CT spine — sagittal reformat — W/L 1800/400 HU
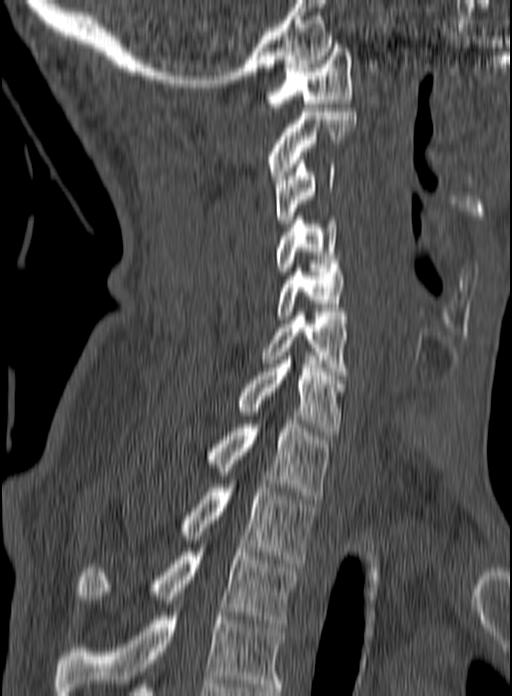

Box edges are left/top/right/bottom in pixels. In this scan, the topmost labeled vertebra is C1 and the lowest is T3. The labeled vertebrae in this slice are: C1 at left=266, top=48, right=352, bottom=111, C2 at left=267, top=108, right=356, bottom=179, C3 at left=275, top=160, right=335, bottom=223, C4 at left=276, top=212, right=339, bottom=275, C5 at left=277, top=264, right=344, bottom=319, C6 at left=262, top=312, right=347, bottom=379, C7 at left=238, top=356, right=343, bottom=435, T1 at left=208, top=416, right=331, bottom=499, T2 at left=184, top=480, right=314, bottom=563, T3 at left=78, top=548, right=298, bottom=627.